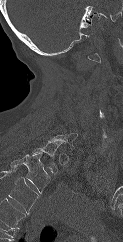
Computed tomography of the spine · sagittal reformat · 123x242 px · 123 mm across the image

Box values are [left, top, right, bottom] in pixels.
A vertebra gets a box only on the slices from the first to the last where its cross-section is at least a third of its largest; on a slice outside that range it gets none.
In this scan, the topmost labeled vertebra is C1 and the lowest is T1.
{"vertebrae":{"C7":[47,133,77,145],"T1":[31,142,60,174]}}